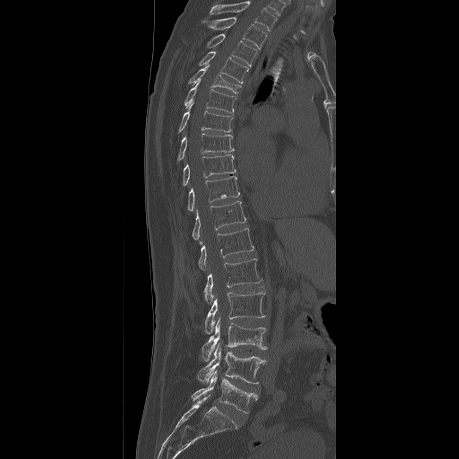

Computed tomography of the spine; sagittal view; W/L 1800/400 HU; 459x459 px
Box values are [left, top, right, bottom] in pixels.
This scan's labels start at T2 at the top and end at L5 at the bottom.
{"vertebrae":{"L5":[191,371,257,413],"L4":[197,344,265,383],"L3":[201,319,266,360],"L2":[204,292,264,333],"L1":[204,259,261,301],"T12":[197,228,253,269],"T11":[191,201,246,243],"T10":[187,176,239,211],"T9":[182,154,235,185],"T8":[177,133,233,161],"T7":[177,104,232,133],"T6":[185,83,236,112],"T5":[188,65,241,93],"T4":[198,51,248,83],"T3":[206,34,257,66],"T2":[211,17,266,48]}}